Spine computed tomography; sagittal view
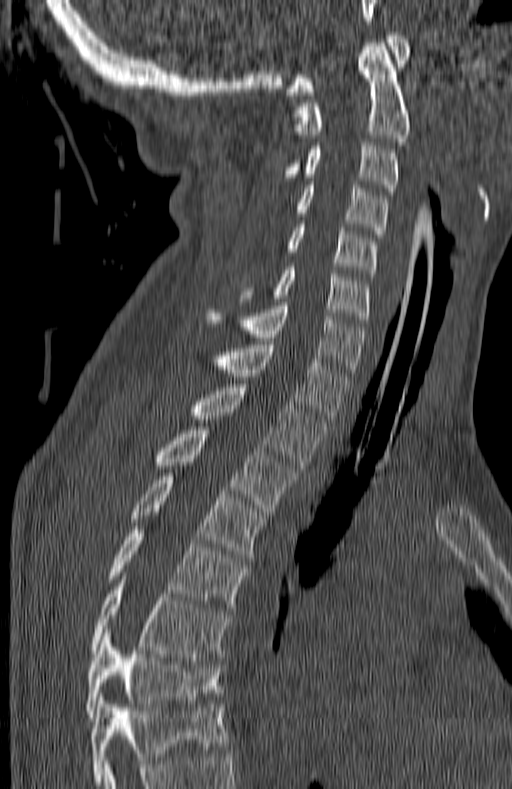

Boxes are (x1, y1, x2, y2) in pixels.
Labels in this scan begin with C1 at the top and end with T7 at the bottom.
T7: (86, 633, 222, 717)
T6: (91, 580, 227, 657)
T5: (109, 526, 247, 611)
T4: (132, 473, 264, 561)
T3: (157, 427, 296, 511)
T2: (194, 384, 324, 468)
T1: (217, 341, 350, 422)
C7: (209, 302, 364, 376)
C6: (274, 267, 370, 323)
C5: (288, 224, 375, 276)
C4: (297, 185, 387, 237)
C3: (281, 142, 398, 195)
C2: (297, 43, 410, 141)
C1: (286, 32, 409, 95)